CT — Sagittal slice 269/512 — bone-window reconstruction — 453x1568 px — scan covers 23 annotated vertebrae — part of the image has been replaced by a constant value
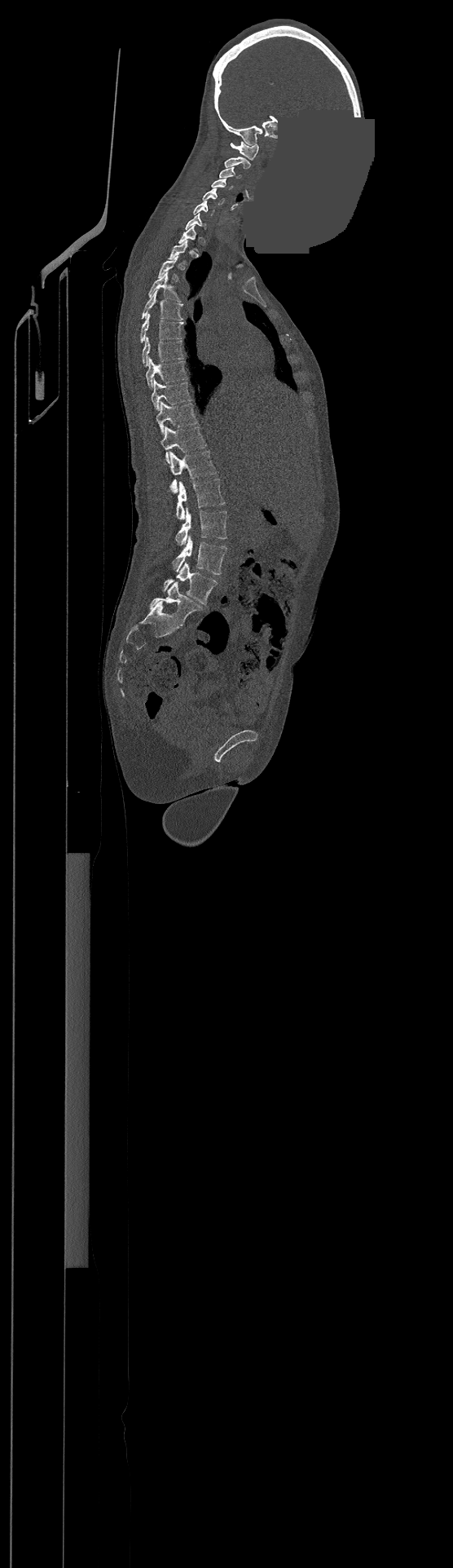
Each row gives a vertebra's box as x1, y1, x2, y2 in pixels: top-left corner, then bottom-right corner.
A vertebra is boxed only from the first to the last slice where its cross-section is at least a third of its largest; slices outside that range leave it without a box.
In this scan, the topmost labeled vertebra is C1 and the lowest is L4.
| vertebra | x1 | y1 | x2 | y2 |
|---|---|---|---|---|
| C1 | 230 | 141 | 258 | 159 |
| C2 | 225 | 157 | 250 | 168 |
| C3 | 219 | 167 | 240 | 179 |
| C4 | 211 | 179 | 231 | 189 |
| C5 | 202 | 188 | 224 | 205 |
| C6 | 194 | 201 | 214 | 215 |
| T3 | 158 | 256 | 178 | 280 |
| T4 | 148 | 272 | 179 | 301 |
| T5 | 142 | 290 | 183 | 320 |
| T6 | 141 | 313 | 183 | 342 |
| T7 | 143 | 337 | 183 | 366 |
| T8 | 146 | 358 | 187 | 387 |
| T9 | 152 | 379 | 191 | 410 |
| T10 | 156 | 401 | 196 | 433 |
| T11 | 160 | 426 | 205 | 461 |
| T12 | 164 | 451 | 216 | 492 |
| L1 | 177 | 478 | 225 | 520 |
| L2 | 176 | 506 | 226 | 545 |
| L3 | 174 | 535 | 226 | 574 |
| L4 | 163 | 563 | 217 | 604 |